CT · the image spans 461 mm across · sagittal view
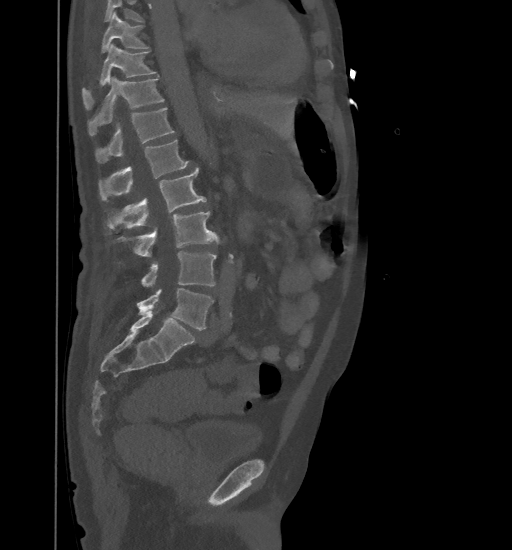 Box edges are left/top/right/bottom in pixels.
Vertebrae that run past the top of the scan are left unlabeled.
Vertebra bounding boxes:
- L5: left=137, top=288, right=213, bottom=330
- L4: left=141, top=251, right=216, bottom=287
- L3: left=116, top=211, right=219, bottom=256
- L2: left=108, top=168, right=206, bottom=229
- L1: left=99, top=140, right=189, bottom=199
- T12: left=95, top=108, right=174, bottom=162
- T11: left=88, top=77, right=165, bottom=135
- T10: left=82, top=44, right=156, bottom=108
- T9: left=101, top=12, right=149, bottom=52